Spine computed tomography; sagittal view; bone window; an area of the scan was removed and filled with constant pixels
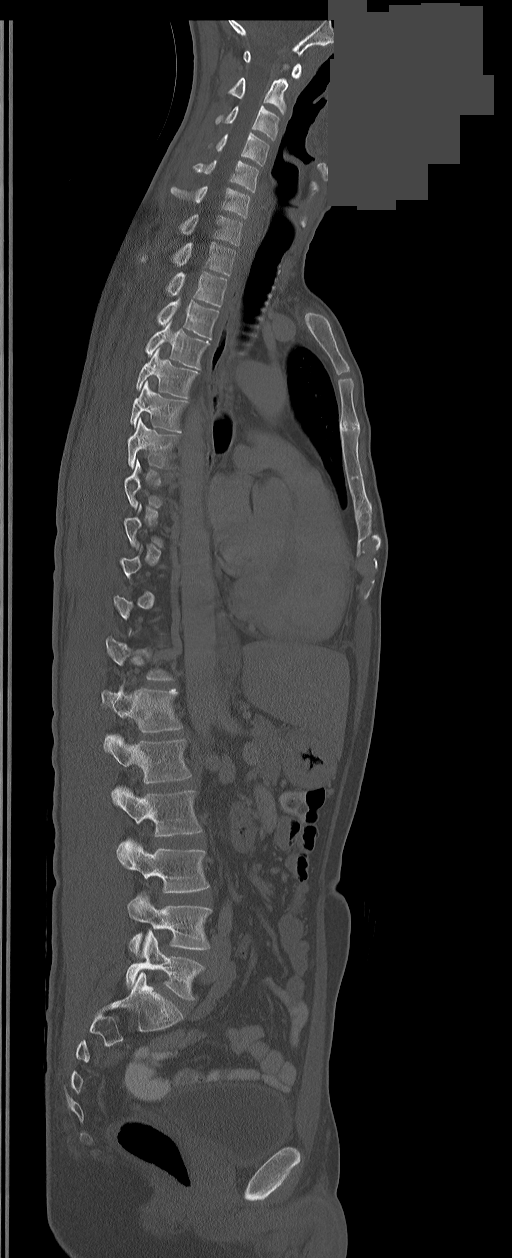 Boxes are (x1, y1, x2, y2) in pixels.
A vertebra is boxed only from the first to the last slice where its cross-section is at least a third of its largest; slices outside that range leave it without a box.
These labels give the spine a sixth lumbar vertebra, L6, below L5.
Vertebra bounding boxes:
- C1: (243, 51, 301, 78)
- C2: (228, 78, 287, 113)
- C3: (215, 106, 279, 140)
- C4: (217, 132, 268, 165)
- C5: (193, 160, 258, 192)
- C6: (171, 186, 249, 217)
- C7: (180, 214, 242, 245)
- T1: (141, 242, 235, 274)
- T2: (166, 271, 226, 306)
- T3: (157, 299, 219, 339)
- T4: (145, 320, 208, 369)
- T5: (136, 348, 197, 397)
- T6: (130, 382, 186, 432)
- T7: (128, 418, 178, 467)
- L1: (101, 686, 182, 732)
- L2: (104, 735, 191, 783)
- L3: (111, 787, 201, 836)
- L4: (117, 840, 208, 893)
- L5: (128, 893, 211, 954)
- L6: (126, 931, 204, 1000)